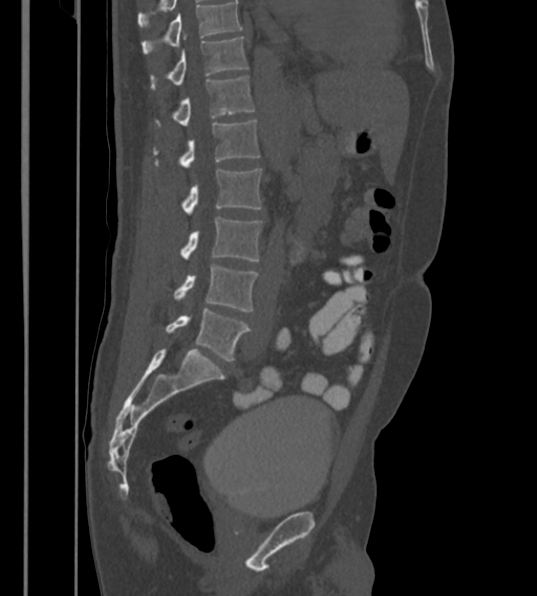
Computed tomography of the spine. sagittal reformat. the image is 430 mm wide. Bone window (WL 400, WW 1800). Box edges are left/top/right/bottom in pixels.
This scan's labels start at T12 at the top and end at L6 at the bottom.
The labels name a sixth lumbar vertebra for this spine: L6, after L5.
Vertebra bounding boxes:
- T12: left=151, top=36, right=248, bottom=88
- L1: left=174, top=76, right=254, bottom=126
- L2: left=155, top=120, right=260, bottom=168
- L3: left=182, top=169, right=261, bottom=215
- L4: left=181, top=216, right=261, bottom=261
- L5: left=174, top=265, right=258, bottom=311
- L6: left=166, top=309, right=250, bottom=360